Computed tomography of the spine · the image spans 283 mm across · Sagittal slice 29/75 · 283x239 px · part of the image has been replaced by a constant value
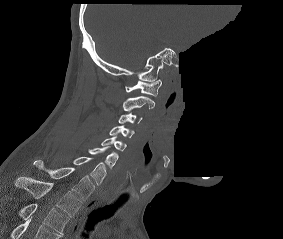
The highest labeled vertebra in this scan is C1; the lowest is T2.
<vertebrae><v name="C1" x1="125" y1="79" x2="161" y2="96"/><v name="C2" x1="123" y1="96" x2="154" y2="111"/><v name="C3" x1="118" y1="112" x2="142" y2="123"/><v name="C4" x1="109" y1="125" x2="134" y2="137"/><v name="C5" x1="101" y1="136" x2="126" y2="150"/><v name="C6" x1="88" y1="146" x2="118" y2="168"/><v name="C7" x1="73" y1="156" x2="106" y2="184"/><v name="T1" x1="33" y1="160" x2="94" y2="200"/><v name="T2" x1="16" y1="177" x2="81" y2="217"/></vertebrae>